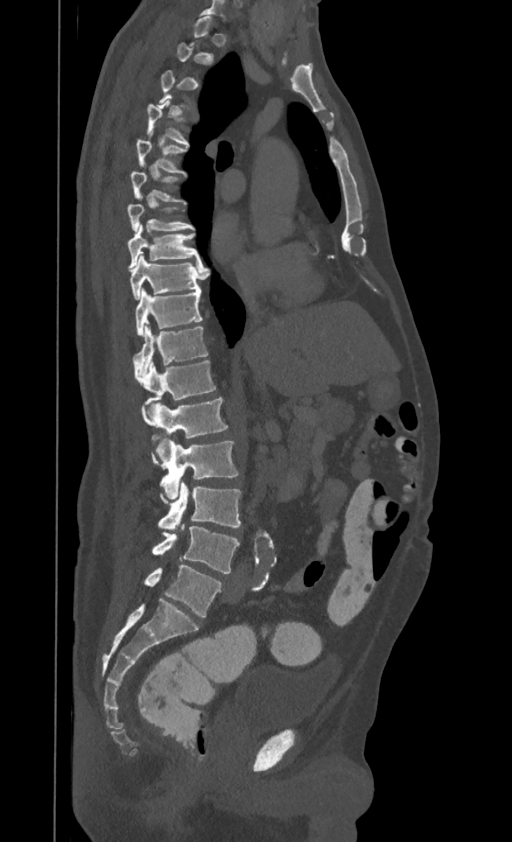

Computed tomography of the spine · sagittal reformat

Boxes: x1 y1 x2 y2 (pixel coords, space-separated).
Each vertebra is boxed only on the slices from the first to the last where its cross-section reaches a third of its largest, so a slice outside that range leaves it unboxed.
This scan's labels start at T1 at the top and end at L4 at the bottom.
Vertebra bounding boxes:
- L4: 152 526 239 573
- L3: 158 481 240 530
- L2: 153 436 237 499
- L1: 142 398 227 459
- T12: 135 360 215 404
- T11: 133 324 208 375
- T10: 135 289 202 336
- T9: 129 253 205 300
- T8: 127 224 200 270
- T7: 127 203 193 231
- T5: 136 139 184 172